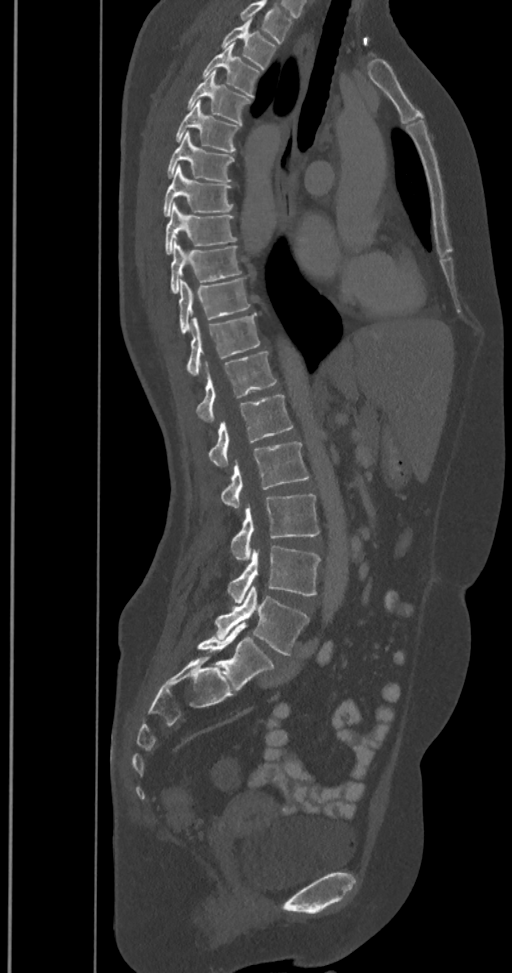

Spine CT — sagittal view — 350 mm wide — W/L 1800/400 HU
Each box is [x1, y1, x2, y2] in pixels: top-left corner, then bottom-right corner.
Labels in this scan begin with T2 at the top and end with L6 at the bottom.
The labels name a sixth lumbar vertebra for this spine: L6, after L5.
{"vertebrae":{"L6":[197,623,274,692],"L5":[215,587,309,655],"L4":[228,546,321,603],"L3":[231,494,319,560],"L2":[221,442,309,507],"L1":[207,394,293,466],"T12":[196,352,277,420],"T11":[186,313,261,376],"T10":[178,278,250,335],"T9":[169,241,242,294],"T8":[165,204,237,254],"T7":[162,166,233,216],"T6":[165,132,234,182],"T5":[174,100,240,152],"T4":[186,71,252,124],"T3":[202,45,261,98],"T2":[221,21,277,70]}}